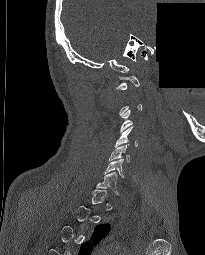
CT · sagittal view · bone window · part of the scan has been removed (filled with constant black)
Each row gives a vertebra's box as x1, y1, x2, y2 in pixels: top-left corner, then bottom-right corner.
A vertebra gets a box only on the slices from the first to the last where its cross-section is at least a third of its largest; on a slice outside that range it gets none.
| vertebra | x1 | y1 | x2 | y2 |
|---|---|---|---|---|
| C1 | 116 | 76 | 139 | 89 |
| C3 | 120 | 109 | 132 | 132 |
| C4 | 113 | 125 | 137 | 147 |
| C5 | 108 | 144 | 131 | 162 |
| C6 | 104 | 159 | 125 | 178 |
| C7 | 96 | 172 | 119 | 194 |